CT, spine; sagittal reformat; bone window; 512x757 px
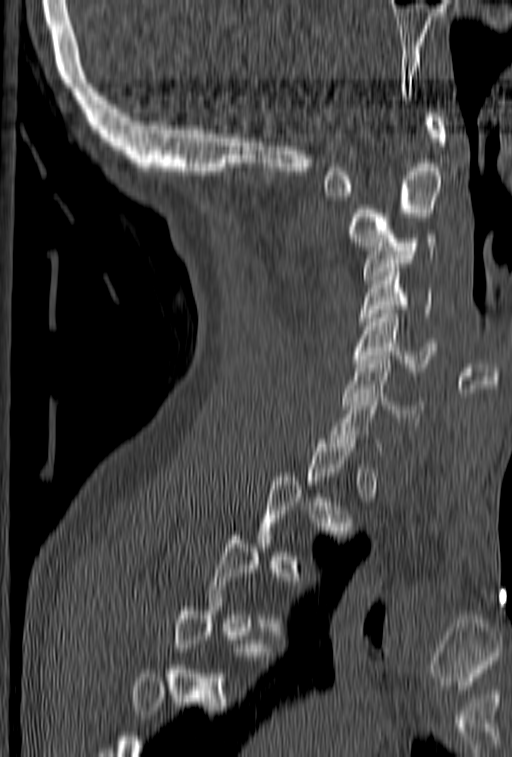 Box edges are left/top/right/bottom in pixels.
A vertebra is boxed only from the first to the last slice where its cross-section is at least a third of its largest; slices outside that range leave it without a box.
C1: left=322, top=109, right=446, bottom=196
C2: left=349, top=163, right=442, bottom=250
C3: left=363, top=234, right=437, bottom=283
C4: left=359, top=264, right=432, bottom=329
C5: left=353, top=305, right=437, bottom=371
C6: left=343, top=356, right=422, bottom=421
C7: left=325, top=389, right=382, bottom=451